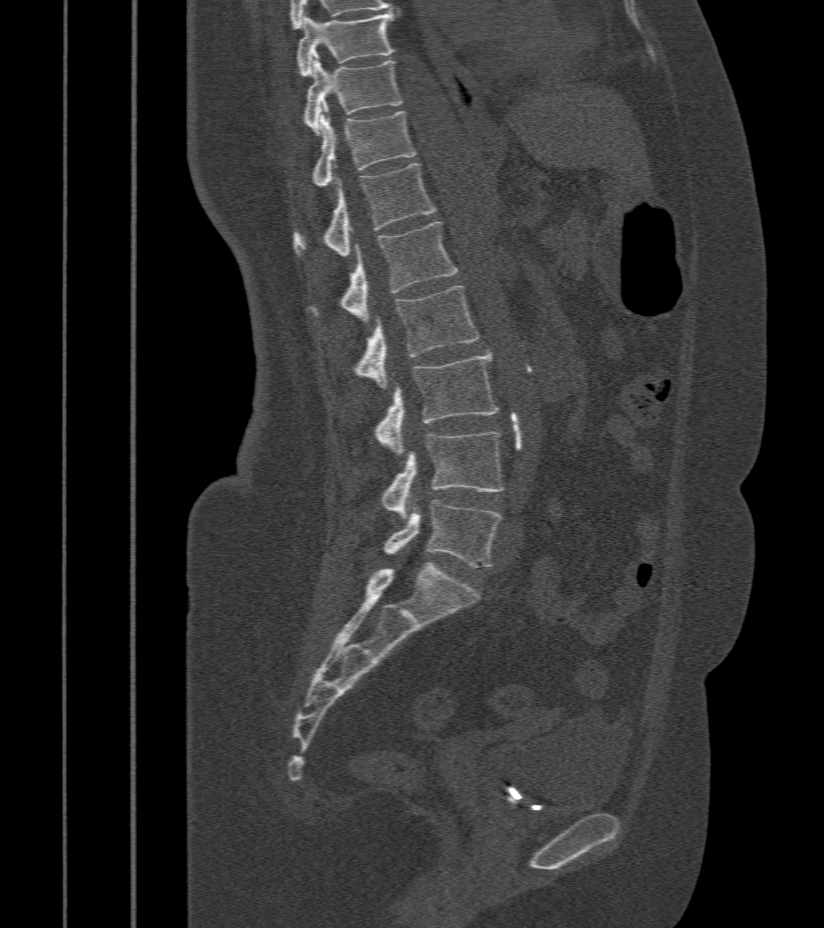 CT, spine — sagittal reformat — bone-window reconstruction — 412 mm wide. Box edges are left/top/right/bottom in pixels. Vertebrae labeled: T9 at left=298, top=13, right=393, bottom=76, T10 at left=304, top=56, right=403, bottom=134, T11 at left=312, top=107, right=414, bottom=186, T12 at left=295, top=163, right=435, bottom=256, L1 at left=341, top=223, right=456, bottom=324, L2 at left=356, top=287, right=479, bottom=390, L3 at left=377, top=351, right=500, bottom=456, L4 at left=381, top=431, right=503, bottom=518, L5 at left=383, top=501, right=501, bottom=566.